Spine CT; Sagittal slice 220/512; 180 mm wide; W/L 1800/400 HU
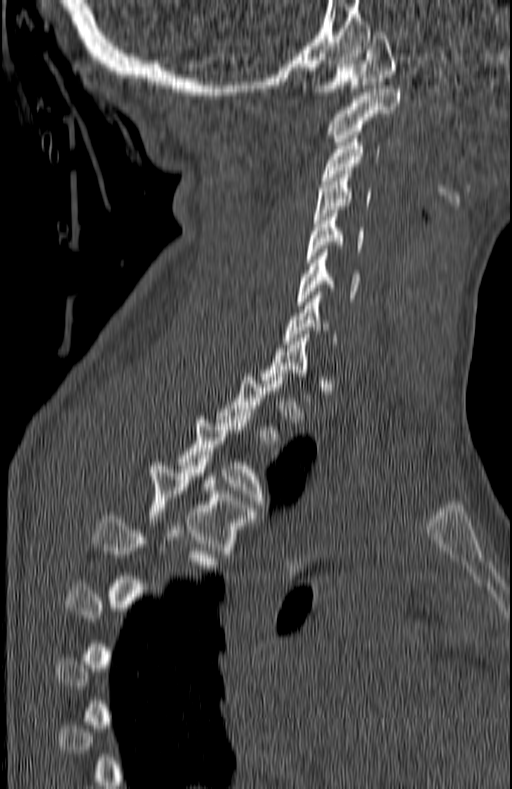 Boxes: x1 y1 x2 y2 (pixel coords, space-separated).
A vertebra gets a box only on the slices from the first to the last where its cross-section is at least a third of its largest; on a slice outside that range it gets none.
Vertebra bounding boxes:
- T5: 95 512 216 568
- T4: 146 459 256 554
- T3: 177 412 264 507
- C7: 283 295 336 344
- C6: 297 249 361 305
- C5: 306 210 364 262
- C4: 314 171 370 219
- C3: 321 135 380 184
- C2: 328 89 401 145
- C1: 313 32 395 95